Computed tomography of the spine — sagittal plane, index 71 — bone window — scan covers 21 annotated vertebrae — a region of this slice is masked with a uniform fill
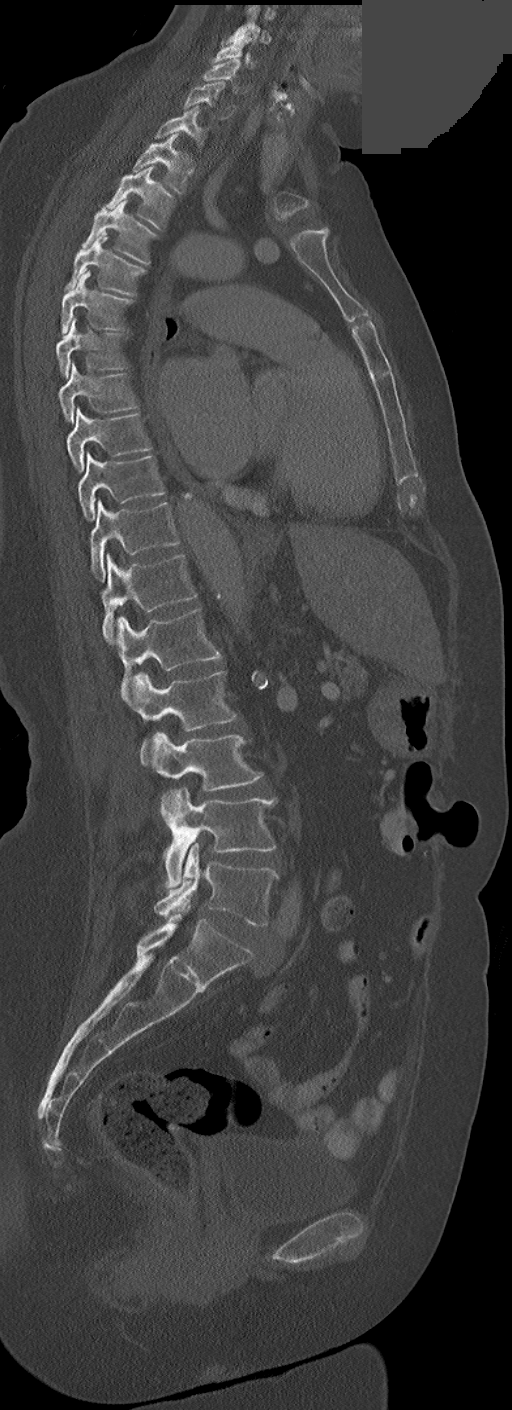

Boxes are (x1, y1, x2, y2) in pixels.
In these labels the thoracic vertebrae end at T11, so L1 follows T11.
Vertebra bounding boxes:
- C3: (225, 9, 270, 44)
- C4: (213, 33, 253, 67)
- C5: (204, 59, 241, 91)
- C6: (183, 82, 233, 119)
- C7: (155, 106, 205, 146)
- T1: (133, 133, 193, 193)
- T2: (106, 166, 174, 229)
- T3: (83, 200, 156, 264)
- T4: (64, 236, 146, 294)
- T5: (61, 270, 135, 334)
- T6: (55, 318, 125, 378)
- T7: (57, 362, 138, 422)
- T8: (66, 409, 150, 473)
- T9: (78, 454, 164, 520)
- T10: (90, 500, 178, 581)
- T11: (102, 555, 197, 642)
- L1: (116, 608, 221, 696)
- L2: (131, 671, 235, 755)
- L3: (151, 732, 262, 790)
- L4: (161, 787, 276, 887)
- L5: (155, 844, 278, 926)